Spine computed tomography; sagittal plane, index 171; Bone window (WL 400, WW 1800); the image is 369 mm wide
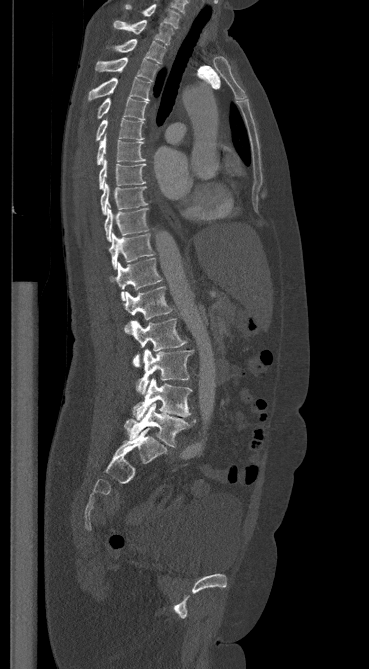 Box values are [left, top, right, bottom] in pixels.
{"vertebrae":{"C7":[126,4,180,28],"T1":[113,20,173,44],"T2":[115,39,165,64],"T3":[96,57,158,81],"T4":[89,78,150,100],"T5":[97,97,148,120],"T6":[96,118,144,140],"T7":[96,136,144,164],"T8":[99,158,146,189],"T9":[100,182,146,214],"T10":[104,205,148,241],"T11":[109,233,154,269],"T12":[110,258,162,300],"L1":[123,287,172,332],"L2":[131,318,186,366],"L3":[137,349,192,395],"L4":[132,378,191,420],"L5":[124,403,195,447]}}